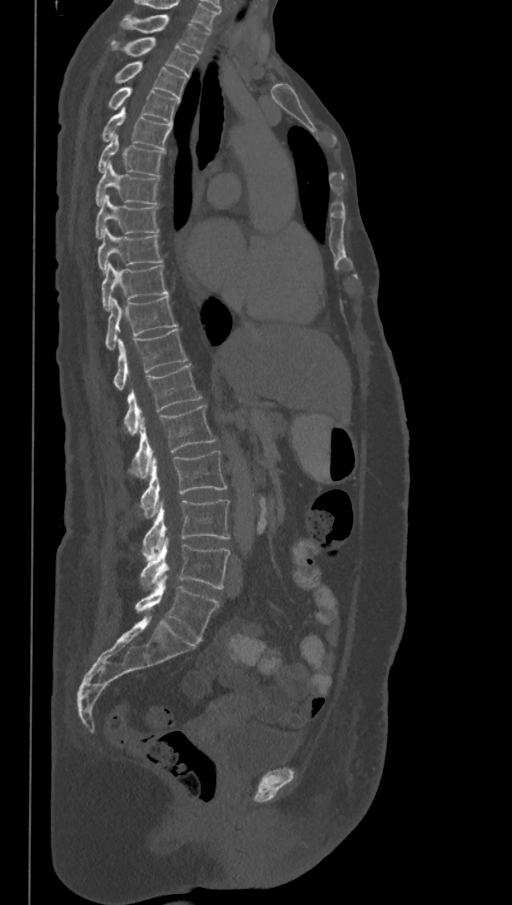

CT spine · sagittal view · image width 368 mm · W/L 1800/400 HU. Boxes: x1 y1 x2 y2 (pixel coords, space-separated). The highest labeled vertebra in this scan is T1; the lowest is L6. These labels give the spine a sixth lumbar vertebra, L6, below L5. The labeled vertebrae in this slice are: T1 at 121 15 209 53, T2 at 111 38 198 77, T3 at 112 61 187 99, T4 at 107 86 180 124, T5 at 101 108 171 149, T6 at 97 135 164 176, T7 at 94 163 159 206, T8 at 94 194 159 239, T9 at 97 228 162 273, T10 at 101 263 169 311, T11 at 104 296 177 350, T12 at 114 329 188 390, L1 at 124 364 202 435, L2 at 129 404 216 477, L3 at 140 451 227 517, L4 at 142 500 230 560, L5 at 140 538 230 589, L6 at 135 576 219 641.